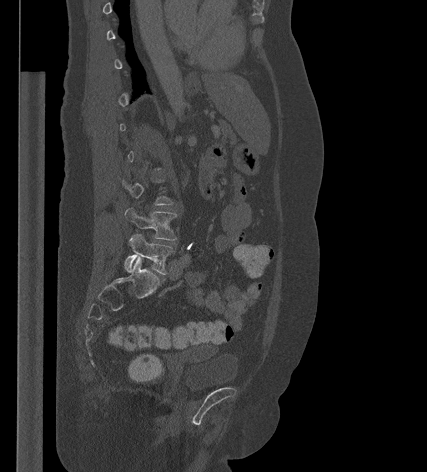

Computed tomography of the spine · sagittal view · image width 427 mm

Each box is [x1, y1, x2, y2] in pixels: top-left corner, then bottom-right corner.
A vertebra gets a box only on the slices from the first to the last where its cross-section is at least a third of its largest; on a slice outside that range it gets none.
{"vertebrae":{"L4":[125,207,177,240],"L5":[124,233,174,274]}}